Spine CT. Sagittal slice 286/512. 200 mm image width. scan covers 10 annotated vertebrae
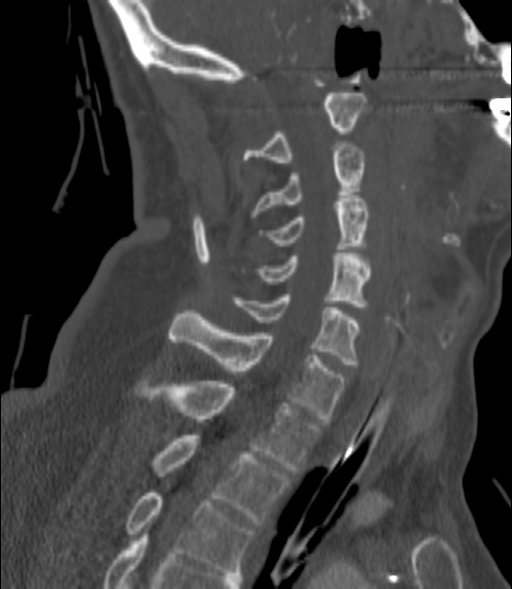 Each row gives a vertebra's box as x1, y1, x2, y2 in pixels: top-left corner, then bottom-right corner.
| vertebra | x1 | y1 | x2 | y2 |
|---|---|---|---|---|
| C2 | 244 | 93 | 366 | 162 |
| C3 | 251 | 144 | 363 | 217 |
| C4 | 259 | 198 | 368 | 249 |
| C5 | 254 | 250 | 370 | 306 |
| C6 | 234 | 294 | 358 | 364 |
| C7 | 170 | 310 | 345 | 421 |
| T1 | 134 | 378 | 320 | 473 |
| T2 | 152 | 435 | 289 | 524 |
| T3 | 126 | 493 | 253 | 575 |